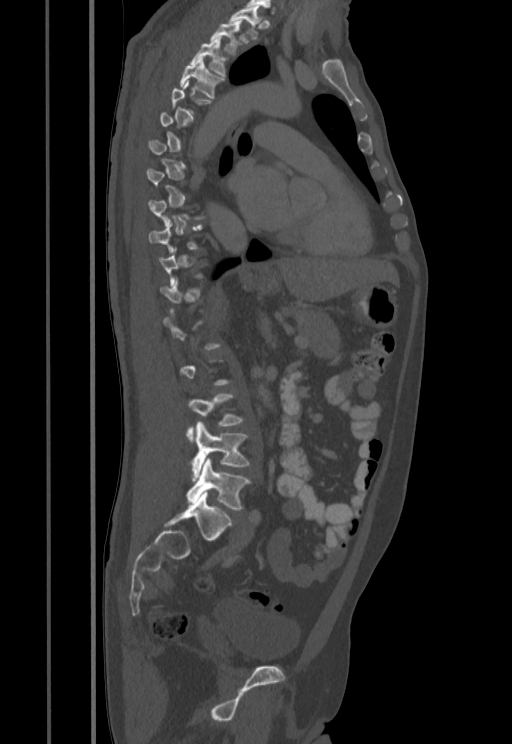 CT, spine; sagittal view; Bone window (WL 400, WW 1800); image width 455 mm

Coordinates as <box>x1,y1,x2,y2</box>.
Not every vertebra on this slice has a box: a vertebra is boxed only from the first to the last slice where its cross-section is at least a third of its largest, and this slice is outside that range for at least one of them.
Vertebra bounding boxes:
- L5: <box>187,459,250,510</box>
- L4: <box>191,422,250,480</box>
- L3: <box>187,394,243,439</box>
- T4: <box>180,59,224,99</box>
- T3: <box>190,37,225,76</box>
- T2: <box>210,21,242,54</box>
- T1: <box>228,8,263,38</box>